CT, spine — sagittal view — 512x780 px
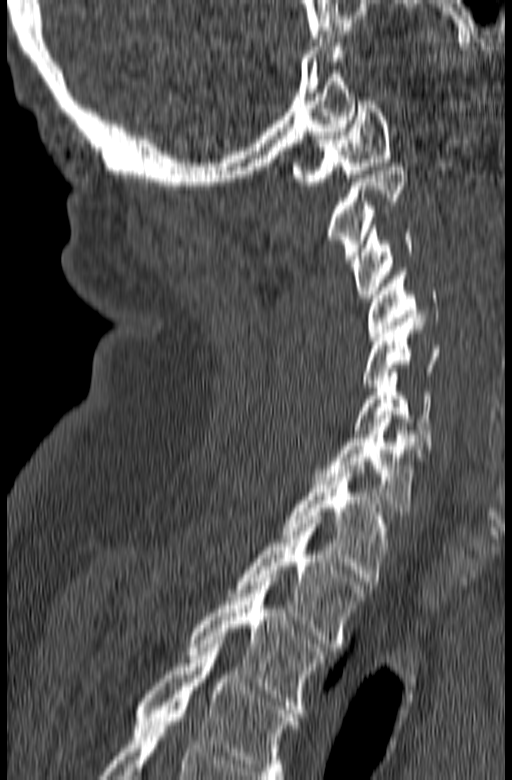

Labels in this scan begin with C1 at the top and end with T3 at the bottom.
<vertebrae><v name="C1" x1="292" y1="101" x2="391" y2="185"/><v name="C2" x1="327" y1="163" x2="407" y2="259"/><v name="C3" x1="352" y1="225" x2="413" y2="298"/><v name="C4" x1="367" y1="268" x2="438" y2="336"/><v name="C5" x1="363" y1="318" x2="441" y2="387"/><v name="C6" x1="353" y1="372" x2="431" y2="449"/><v name="C7" x1="314" y1="415" x2="424" y2="511"/><v name="T1" x1="281" y1="465" x2="390" y2="581"/><v name="T2" x1="228" y1="520" x2="367" y2="647"/><v name="T3" x1="187" y1="578" x2="325" y2="713"/></vertebrae>